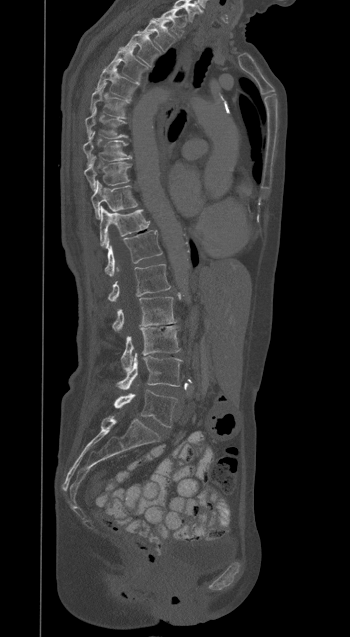

CT spine. sagittal view. image width 350 mm

In the table, x1 and y1 are a box's top-left corner and x2 and y2 its bottom-right corner, in pixels.
| vertebra | x1 | y1 | x2 | y2 |
|---|---|---|---|---|
| T1 | 154 | 7 | 185 | 37 |
| T2 | 138 | 20 | 174 | 52 |
| T3 | 121 | 33 | 161 | 66 |
| T4 | 107 | 49 | 147 | 81 |
| T5 | 97 | 65 | 138 | 100 |
| T6 | 90 | 83 | 128 | 117 |
| T7 | 85 | 108 | 126 | 138 |
| T8 | 83 | 132 | 130 | 166 |
| T9 | 84 | 156 | 130 | 190 |
| T10 | 91 | 181 | 137 | 218 |
| T11 | 100 | 206 | 149 | 247 |
| T12 | 105 | 230 | 162 | 275 |
| L1 | 108 | 264 | 170 | 301 |
| L2 | 112 | 297 | 176 | 331 |
| L3 | 121 | 326 | 180 | 371 |
| L4 | 117 | 353 | 181 | 389 |
| L5 | 114 | 390 | 177 | 427 |